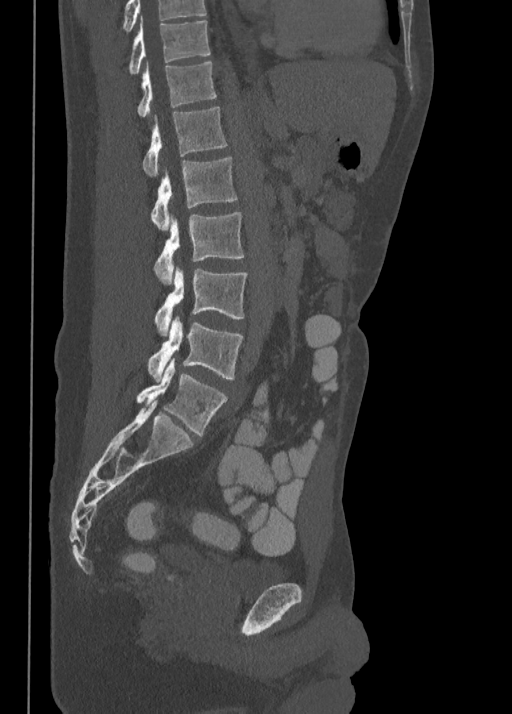

CT. sagittal view. W/L 1800/400 HU. Bounding boxes as [x1, y1, x2, y2] in pixel coordinates.
This scan's labels start at T10 at the top and end at L5 at the bottom.
T10: [128, 17, 209, 73]
T11: [137, 61, 217, 120]
T12: [143, 107, 227, 177]
L1: [150, 157, 237, 231]
L2: [153, 212, 245, 283]
L3: [155, 266, 247, 335]
L4: [148, 316, 243, 382]
L5: [136, 358, 227, 436]